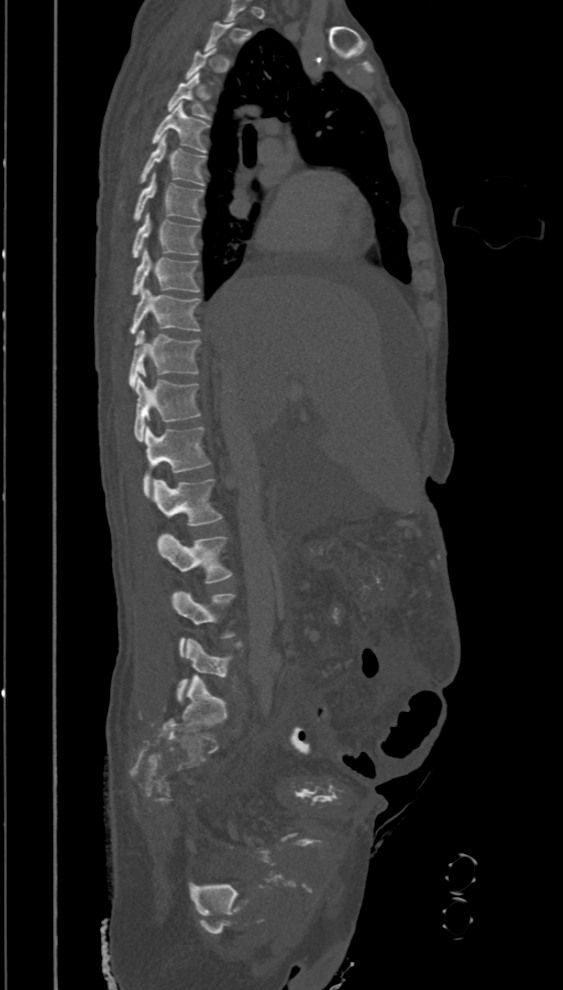 CT, spine — the image is 394 mm wide — sagittal reformat

Boxes below are [x1, y1, x2, y2] in pixels.
Not every vertebra on this slice has a box: a vertebra is boxed only from the first to the last slice where its cross-section is at least a third of its largest, and this slice is outside that range for at least one of them.
{"vertebrae":{"T4":[167,73,210,119],"T5":[152,102,209,152],"T6":[140,133,206,185],"T7":[134,173,203,221],"T8":[133,213,199,258],"T9":[131,249,199,295],"T10":[130,287,200,335],"T11":[129,330,201,389],"T12":[134,376,200,441],"L1":[143,426,210,496],"L2":[152,479,222,525],"L3":[157,532,232,582],"L4":[171,590,234,658],"L5":[176,638,234,703]}}